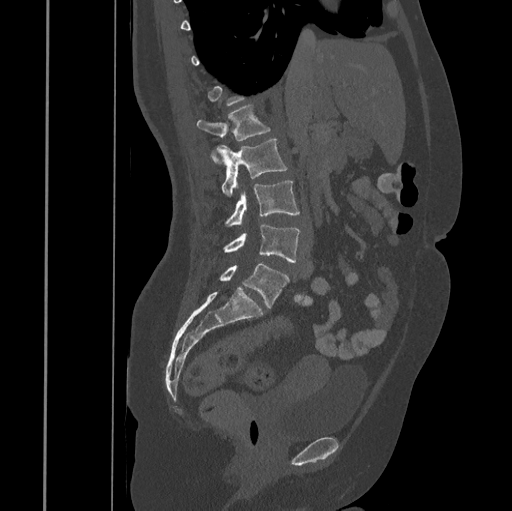

Spine CT — sagittal view — 512x511 px — the image spans 445 mm across
Box edges are left/top/right/bottom in pixels.
A vertebra gets a box only on the slices from the first to the last where its cross-section is at least a third of its largest; on a slice outside that range it gets none.
| vertebra | x1 | y1 | x2 | y2 |
|---|---|---|---|---|
| L1 | 197 | 105 | 270 | 163 |
| L2 | 218 | 139 | 287 | 196 |
| L3 | 225 | 180 | 299 | 226 |
| L4 | 224 | 224 | 299 | 262 |
| L5 | 220 | 263 | 289 | 309 |